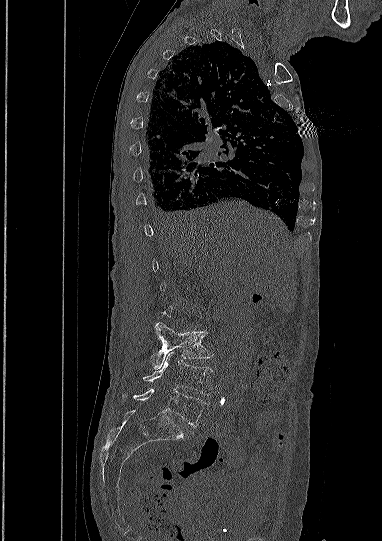 CT. sagittal view. W/L 1800/400 HU

Boxes: x1:y1:x2:y2 in pixels. A vertebra gets a box only on the slices from the first to the last where its cross-section is at least a third of its largest; on a slice outside that range it gets none. The labeled vertebrae in this slice are: L5 at 133:389:205:426, L4 at 143:352:214:395, L3 at 151:322:211:369.